Spine CT; sagittal plane, index 296; 153 mm across the image
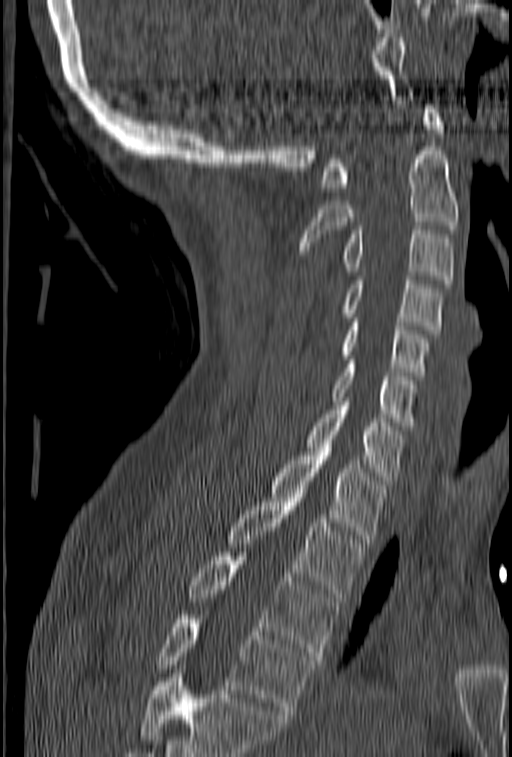
Bounding boxes as [x1, y1, x2, y2] in pixel coordinates.
A vertebra cut off by the bottom edge of the scan is not labeled and has no box.
Vertebra bounding boxes:
- C1: [322, 105, 443, 191]
- C2: [301, 146, 459, 254]
- C3: [339, 226, 454, 283]
- C4: [339, 276, 442, 334]
- C5: [339, 314, 429, 380]
- C6: [332, 360, 418, 430]
- C7: [305, 397, 405, 484]
- T1: [270, 452, 386, 543]
- T2: [227, 489, 364, 597]
- T3: [185, 552, 338, 660]
- T4: [155, 611, 315, 714]